Computed tomography of the spine. 500 mm wide. Sagittal slice 246/512
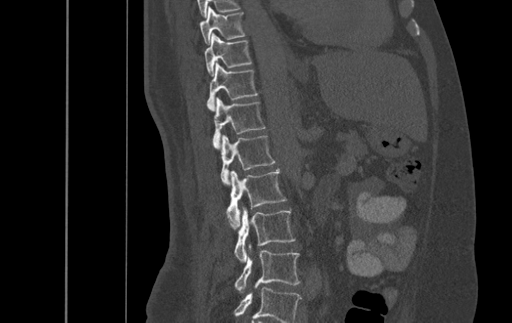
Columns x1, y1, x2, y2 give each box's top-left and bottom-right pixels.
In this scan, the topmost labeled vertebra is T9 and the lowest is L4.
| vertebra | x1 | y1 | x2 | y2 |
|---|---|---|---|---|
| T9 | 199 | 6 | 245 | 44 |
| T10 | 204 | 33 | 251 | 76 |
| T11 | 207 | 61 | 257 | 111 |
| T12 | 213 | 97 | 265 | 149 |
| L1 | 220 | 134 | 274 | 184 |
| L2 | 226 | 168 | 286 | 227 |
| L3 | 235 | 208 | 295 | 261 |
| L4 | 235 | 244 | 299 | 290 |